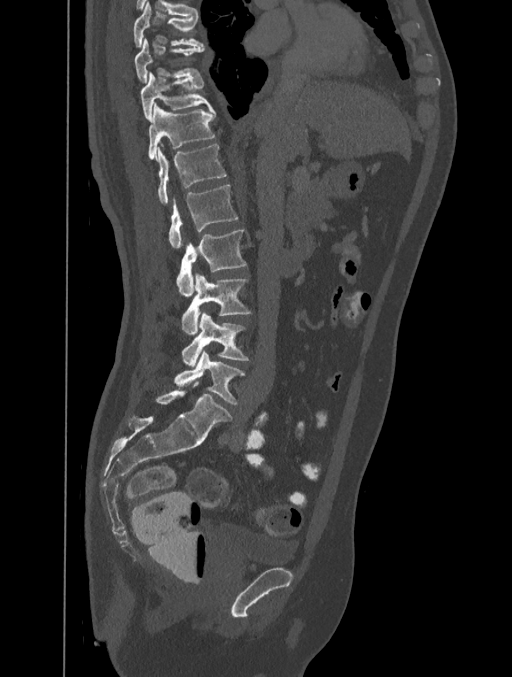
CT, spine — image 401 mm wide — sagittal reformat — 512x677 px
Boxes below are [x1, y1, x2, y2] in pixels.
{"vertebrae":{"T8":[134,1,203,46],"T9":[134,38,204,81],"T10":[140,71,213,122],"T11":[148,103,216,159],"T12":[155,145,226,204],"L1":[168,184,238,248],"L2":[176,229,245,295],"L3":[181,273,250,333],"L4":[182,311,249,366],"L5":[174,350,244,403]}}